Spine computed tomography · sagittal reformat · 186x471 px
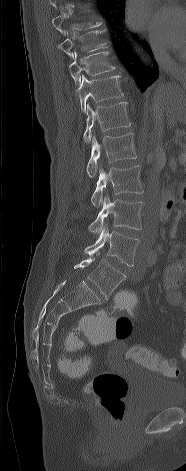

Box edges are left/top/right/bottom in pixels.
This scan's labels start at T8 at the top and end at L5 at the bottom.
| vertebra | x1 | y1 | x2 | y2 |
|---|---|---|---|---|
| T8 | 52 | 15 | 101 | 35 |
| T9 | 56 | 29 | 107 | 58 |
| T10 | 69 | 51 | 115 | 86 |
| T11 | 76 | 75 | 123 | 112 |
| T12 | 83 | 101 | 131 | 143 |
| L1 | 86 | 133 | 136 | 177 |
| L2 | 91 | 165 | 143 | 207 |
| L3 | 88 | 196 | 144 | 233 |
| L4 | 84 | 225 | 140 | 266 |
| L5 | 74 | 252 | 125 | 299 |